Spine CT · sagittal view · Bone window (WL 400, WW 1800)
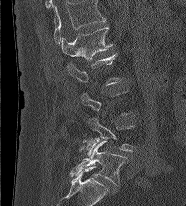
Not every vertebra on this slice has a box: a vertebra is boxed only from the first to the last slice where its cross-section is at least a third of its largest, and this slice is outside that range for at least one of them.
Labels in this scan begin with L1 at the top and end with L5 at the bottom.
<vertebrae><v name="L1" x1="62" y1="26" x2="113" y2="60"/><v name="L2" x1="66" y1="53" x2="123" y2="85"/><v name="L4" x1="83" y1="118" x2="135" y2="156"/><v name="L5" x1="70" y1="140" x2="127" y2="184"/></vertebrae>